CT spine · sagittal reformat · 367 mm across the image · bone-window reconstruction
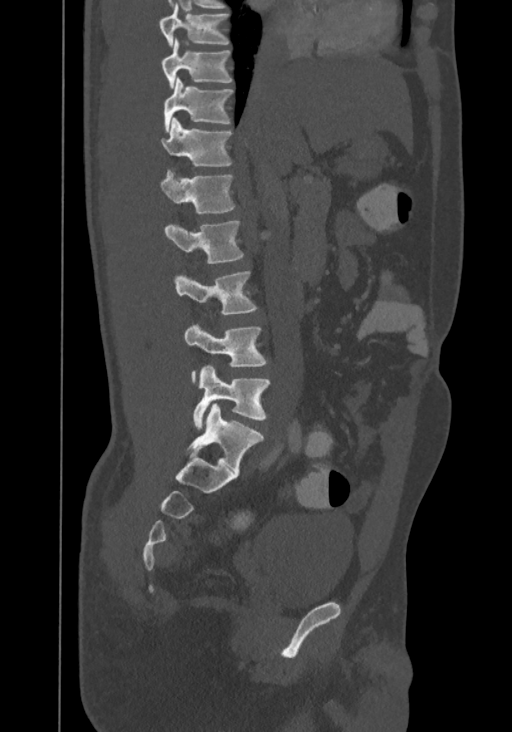
Each row gives a vertebra's box as x1, y1, x2, y2 in pixels: top-left corner, then bottom-right corner.
This scan's labels start at T8 at the top and end at L4 at the bottom.
| vertebra | x1 | y1 | x2 | y2 |
|---|---|---|---|---|
| T8 | 159 | 6 | 229 | 47 |
| T9 | 160 | 38 | 232 | 88 |
| T10 | 163 | 78 | 233 | 132 |
| T11 | 162 | 118 | 232 | 166 |
| T12 | 160 | 170 | 235 | 214 |
| L1 | 164 | 220 | 243 | 264 |
| L2 | 175 | 271 | 255 | 314 |
| L3 | 184 | 325 | 267 | 382 |
| L4 | 194 | 365 | 269 | 430 |